Spine computed tomography. Sagittal slice 102/182. bone-window reconstruction. 11 vertebrae labeled in this scan
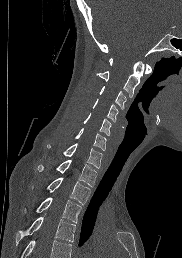
A vertebra cut off by the bottom edge of the scan is not labeled and has no box.
<vertebrae><v name="C1" x1="109" y1="58" x2="151" y2="73"/><v name="C2" x1="97" y1="61" x2="144" y2="97"/><v name="C3" x1="99" y1="86" x2="126" y2="109"/><v name="C4" x1="92" y1="98" x2="118" y2="121"/><v name="C5" x1="84" y1="113" x2="111" y2="135"/><v name="C6" x1="75" y1="128" x2="106" y2="150"/><v name="C7" x1="47" y1="143" x2="102" y2="168"/><v name="T1" x1="38" y1="159" x2="96" y2="186"/><v name="T2" x1="31" y1="177" x2="90" y2="204"/><v name="T3" x1="36" y1="197" x2="81" y2="222"/><v name="T4" x1="16" y1="214" x2="75" y2="241"/></vertebrae>